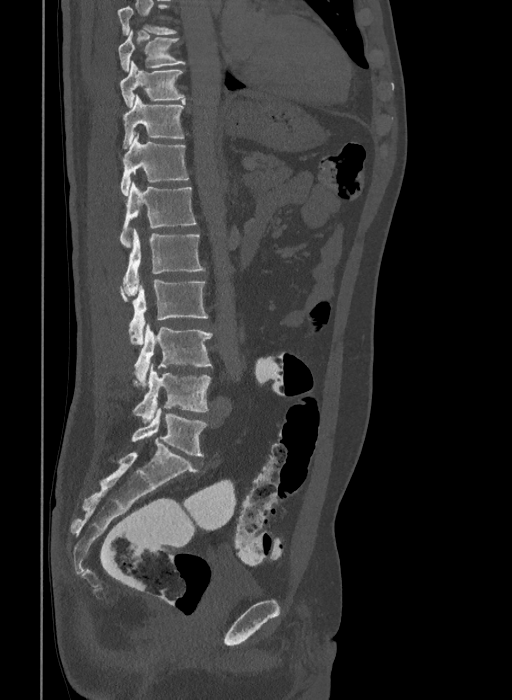
Spine computed tomography — sagittal view — W/L 1800/400 HU. Box edges are left/top/right/bottom in pixels.
This scan's labels start at T9 at the top and end at L6 at the bottom.
In these labels the spine has an L6, a sixth lumbar vertebra below L5.
L6: left=131, top=408, right=207, bottom=456
L5: left=133, top=363, right=210, bottom=423
L4: left=134, top=324, right=212, bottom=389
L3: left=120, top=279, right=208, bottom=344
L2: left=123, top=229, right=205, bottom=295
L1: left=119, top=181, right=197, bottom=247
T12: left=120, top=134, right=189, bottom=195
T11: left=122, top=95, right=184, bottom=148
T10: left=120, top=61, right=185, bottom=107
T9: left=119, top=29, right=185, bottom=71